CT · the image spans 350 mm across · sagittal reformat · bone window · 512x714 px
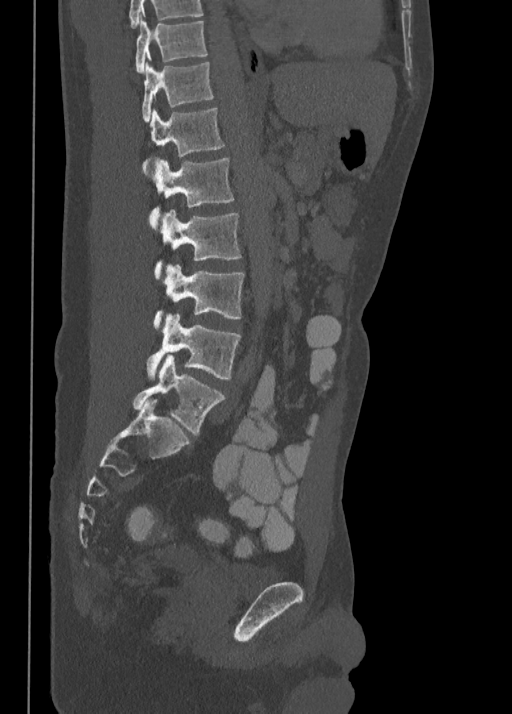

Box edges are left/top/right/bottom in pixels.
Labels in this scan begin with T10 at the top and end with L5 at the bottom.
Vertebra bounding boxes:
- T10: left=136, top=20, right=206, bottom=73
- T11: left=142, top=61, right=214, bottom=121
- T12: left=142, top=108, right=224, bottom=174
- L1: left=149, top=158, right=234, bottom=228
- L2: left=155, top=209, right=242, bottom=279
- L3: left=153, top=265, right=245, bottom=328
- L4: left=147, top=313, right=240, bottom=379
- L5: left=133, top=354, right=224, bottom=435